Spine computed tomography · image width 287 mm · sagittal view · bone-window reconstruction · 9 vertebrae labeled in this scan · part of the image has been replaced by a constant value
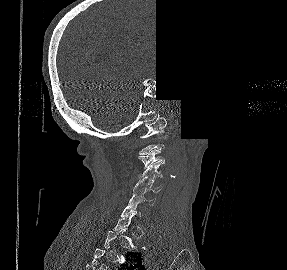

Boxes: x1:y1:x2:y2 in pixels.
A vertebra is boxed only from the first to the last slice where its cross-section is at least a third of its largest; slices outside that range leave it without a box.
C6: 129:191:155:206
C5: 133:177:162:192
C4: 139:162:163:179
C3: 138:149:164:169
C1: 140:114:168:137